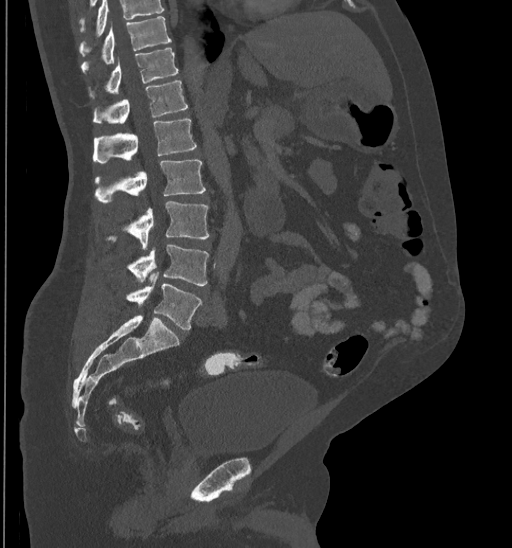

CT. sagittal reformat
Boxes below are [x1, y1, x2, y2] in pixels.
Vertebrae that run past the top of the scan are left unlabeled.
{"vertebrae":{"T10":[80,16,171,70],"T11":[89,48,178,96],"T12":[93,81,187,124],"L1":[93,119,197,163],"L2":[95,159,205,203],"L3":[106,201,208,249],"L4":[127,244,208,285],"L5":[126,272,201,330]}}